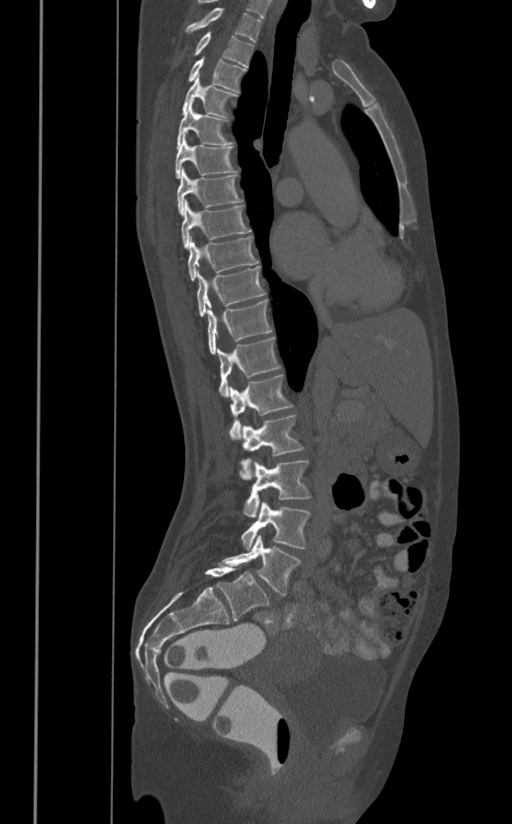

CT, spine — sagittal reformat
Bounding boxes as [x1, y1, x2, y2] in pixel coordinates. 17 vertebrae labeled — T1 at [186, 7, 261, 41]; T2 at [192, 32, 253, 66]; T3 at [188, 58, 246, 92]; T4 at [182, 74, 238, 117]; T5 at [176, 100, 233, 150]; T6 at [174, 133, 238, 178]; T7 at [177, 169, 242, 216]; T8 at [181, 200, 250, 248]; T9 at [187, 236, 258, 281]; T10 at [197, 266, 266, 316]; T11 at [207, 298, 273, 354]; T12 at [217, 337, 280, 397]; L1 at [230, 375, 293, 439]; L2 at [239, 414, 304, 480]; L3 at [243, 460, 312, 516]; L4 at [241, 502, 310, 549]; L5 at [221, 534, 301, 595].